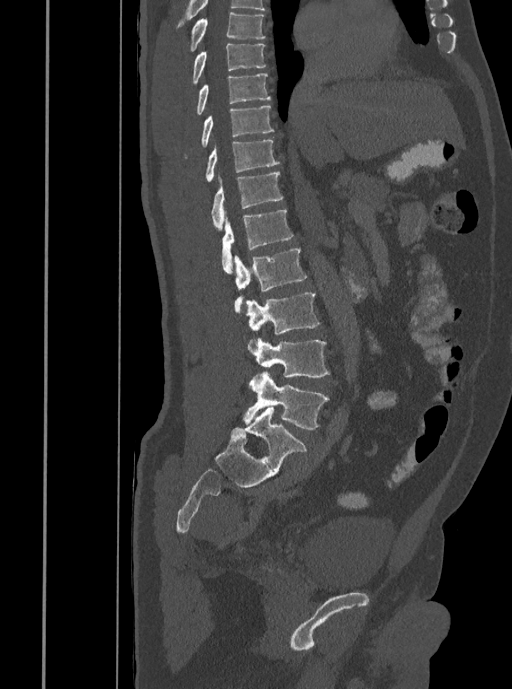
CT; sagittal view; 408 mm wide
Each box is [x1, y1, x2, y2] in pixels: top-left corner, then bottom-right corner.
{"vertebrae":{"L5":[243,372,329,429],"L4":[248,338,329,377],"L3":[246,293,320,347],"L2":[234,248,306,312],"L1":[222,210,293,273],"T12":[211,172,282,229],"T11":[206,139,280,181],"T10":[186,105,274,157],"T9":[196,73,270,115],"T8":[192,43,266,85],"T7":[189,11,265,51]}}